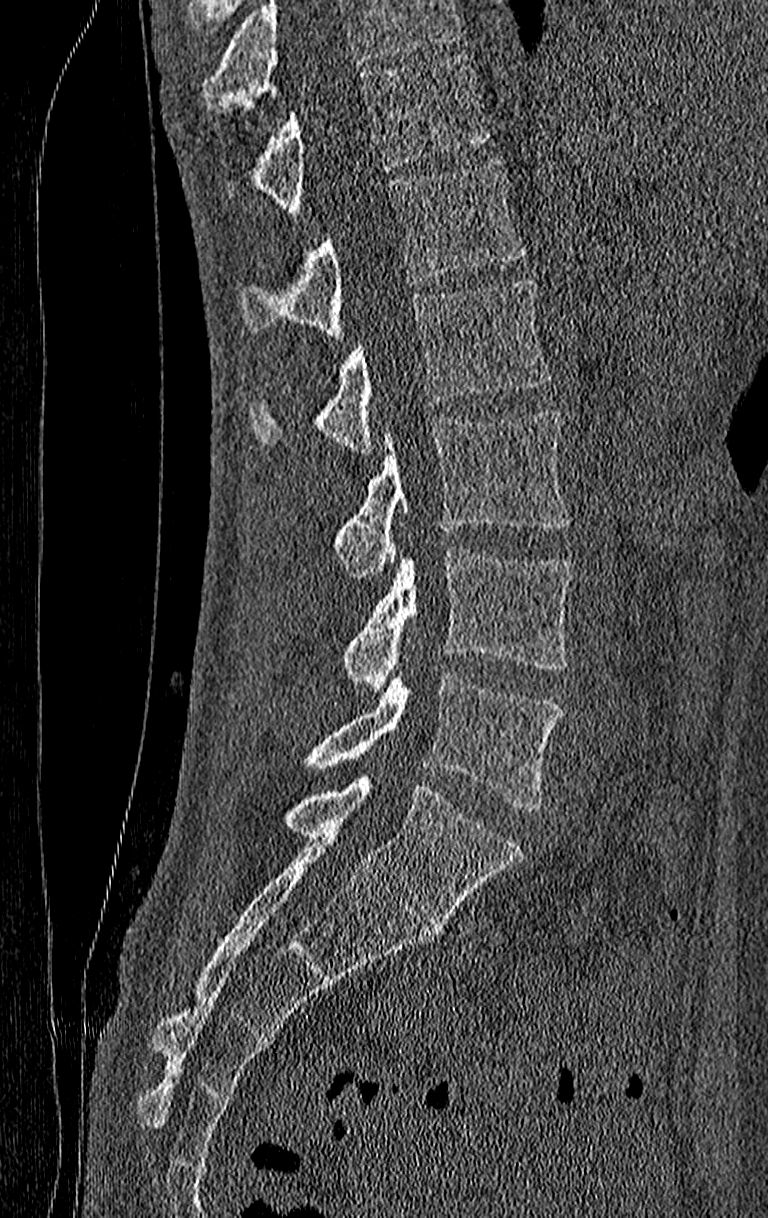 CT, spine. sagittal view. bone-window reconstruction. the image spans 210 mm across
Vertebrae that run past the top of the scan are left unlabeled.
The highest labeled vertebra in this scan is T11; the lowest is L4.
<vertebrae><v name="T11" x1="251" y1="56" x2="488" y2="216"/><v name="T12" x1="240" y1="158" x2="524" y2="336"/><v name="L1" x1="247" y1="278" x2="550" y2="453"/><v name="L2" x1="335" y1="410" x2="572" y2="578"/><v name="L3" x1="342" y1="550" x2="572" y2="692"/><v name="L4" x1="306" y1="673" x2="561" y2="812"/></vertebrae>